CT — the image spans 461 mm across — Sagittal slice 266/512 — W/L 1800/400 HU — 512x263 px — 10 vertebrae labeled in this scan
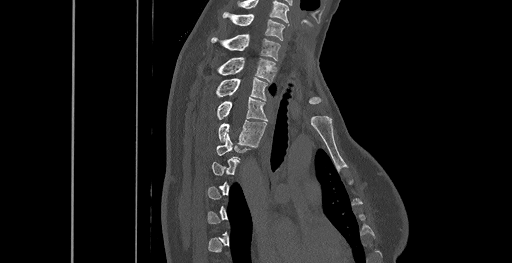

Coordinates as <box>x1,y1,x2,y2</box>.
A vertebra is boxed only from the first to the last slice where its cross-section is at least a third of its largest; slices outside that range leave it without a box.
The highest labeled vertebra in this scan is C6; the lowest is T8.
Vertebra bounding boxes:
- C6: <box>223,12,284,40</box>
- C7: <box>211,34,280,60</box>
- T1: <box>216,57,275,81</box>
- T2: <box>215,77,266,100</box>
- T3: <box>216,96,266,121</box>
- T4: <box>218,120,266,145</box>